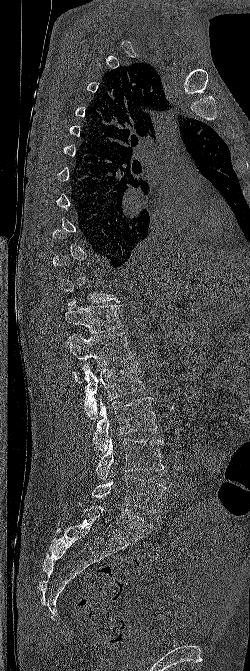
Spine computed tomography · sagittal reformat · 250 mm image width
Columns x1, y1, x2, y2 give each box's top-left and bottom-right pixels.
Each vertebra is boxed only on the slices from the first to the last where its cross-section reaches a third of its largest, so a slice outside that range leaves it unboxed.
| vertebra | x1 | y1 | x2 | y2 |
|---|---|---|---|---|
| T12 | 60 | 300 | 124 | 333 |
| L1 | 65 | 332 | 134 | 382 |
| L2 | 78 | 363 | 145 | 419 |
| L3 | 93 | 397 | 157 | 451 |
| L4 | 95 | 438 | 165 | 480 |
| L5 | 91 | 475 | 166 | 513 |